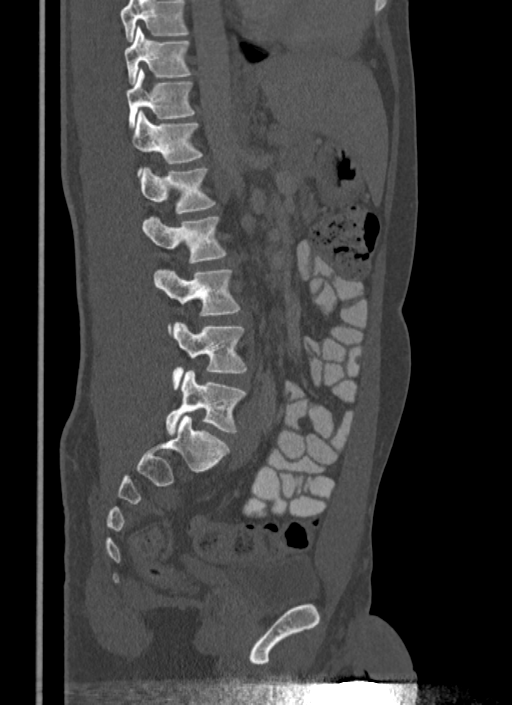
CT, spine — sagittal view — Bone window (WL 400, WW 1800)

Each row gives a vertebra's box as x1, y1, x2, y2 in pixels: top-left corner, then bottom-right corner.
A vertebra cut off by the top edge of the scan is not labeled and has no box.
| vertebra | x1 | y1 | x2 | y2 |
|---|---|---|---|---|
| L5 | 165 | 370 | 246 | 434 |
| L4 | 171 | 322 | 246 | 389 |
| L3 | 153 | 270 | 240 | 315 |
| L2 | 143 | 215 | 226 | 263 |
| L1 | 140 | 167 | 216 | 213 |
| T12 | 132 | 111 | 202 | 163 |
| T11 | 126 | 69 | 195 | 127 |
| T10 | 125 | 27 | 191 | 83 |